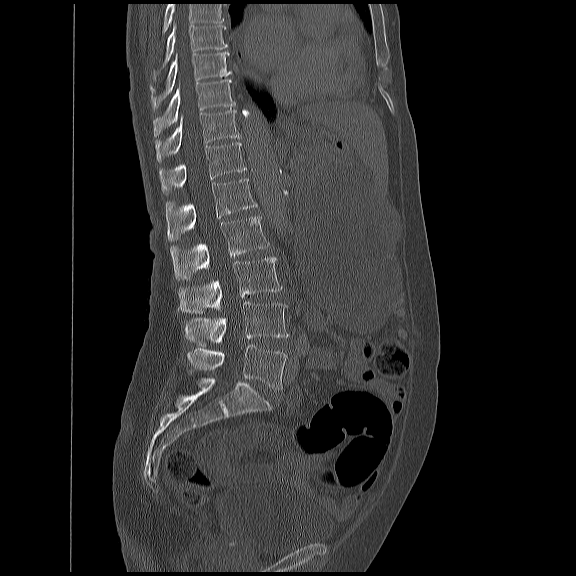

Spine computed tomography; image width 450 mm; sagittal view. Bounding boxes as [x1, y1, x2, y2] in pixel coordinates.
Where the top of the scan cuts through a vertebra, that vertebra gets no label or box.
Vertebra bounding boxes:
- T8: [153, 21, 226, 79]
- T9: [149, 51, 230, 109]
- T10: [152, 78, 234, 139]
- T11: [154, 107, 240, 161]
- T12: [158, 140, 245, 193]
- L1: [165, 177, 256, 240]
- L2: [170, 215, 269, 280]
- L3: [177, 255, 281, 313]
- L4: [184, 301, 289, 346]
- L5: [186, 345, 285, 388]